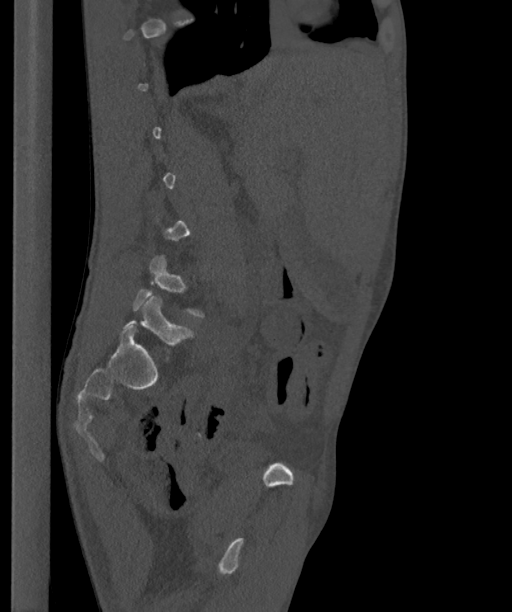

CT, spine. image 363 mm wide. sagittal view. bone-window reconstruction. 512x612 px

Box edges are left/top/right/bottom in pixels.
A vertebra gets a box only on the slices from the first to the last where its cross-section is at least a third of its largest; on a slice outside that range it gets none.
These labels give the spine a sixth lumbar vertebra, L6, below L5.
| vertebra | x1 | y1 | x2 | y2 |
|---|---|---|---|---|
| L5 | 131 | 254 | 203 | 318 |
| L6 | 122 | 296 | 193 | 344 |